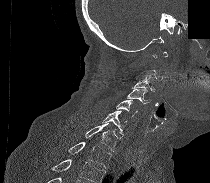

Computed tomography of the spine; image 210 mm wide; sagittal view; 210x183 px; part of the image has been replaced by a constant value
A vertebra gets a box only on the slices from the first to the last where its cross-section is at least a third of its largest; on a slice outside that range it gets none.
Vertebrae that run past the bottom of the scan are left unlabeled.
<vertebrae><v name="C3" x1="134" y1="72" x2="155" y2="91"/><v name="C4" x1="127" y1="87" x2="151" y2="103"/><v name="C5" x1="116" y1="99" x2="137" y2="116"/><v name="C6" x1="101" y1="110" x2="127" y2="135"/><v name="C7" x1="85" y1="123" x2="122" y2="151"/><v name="T1" x1="68" y1="142" x2="111" y2="168"/></vertebrae>